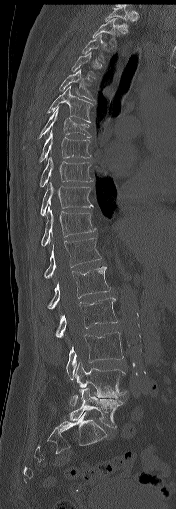 Spine computed tomography · sagittal view · Bone window (WL 400, WW 1800) · 176x509 px
Box values are [left, top, right, bottom] in pixels.
A vertebra is boxed only from the first to the last slice where its cross-section is at least a third of its largest; slices outside that range leave it without a box.
{"vertebrae":{"T1":[104,6,129,24],"T2":[92,18,120,47],"T3":[82,35,104,62],"T5":[58,69,94,101],"T6":[46,86,93,123],"T7":[37,107,91,138],"T8":[39,131,90,161],"T9":[40,153,93,187],"T10":[40,182,93,215],"T11":[41,206,96,246],"T12":[44,237,101,278],"L1":[47,266,110,308],"L2":[55,298,117,337],"L3":[66,332,123,380],"L4":[70,362,126,406],"L5":[69,388,122,427]}}